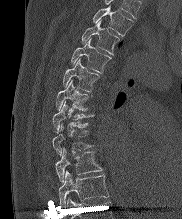

Spine CT · sagittal view · 182 mm image width · 182x219 px
Each box given as x1,y1,x2,y2.
The highest labeled vertebra in this scan is T2; the lowest is T10.
Vertebra bounding boxes:
- T2: x1=92, y1=5, x2=132, y2=35
- T3: x1=81, y1=21, x2=120, y2=54
- T4: x1=71, y1=39, x2=111, y2=72
- T5: x1=62, y1=59, x2=99, y2=91
- T6: x1=55, y1=80, x2=88, y2=110
- T7: x1=52, y1=101, x2=93, y2=132
- T8: x1=52, y1=124, x2=94, y2=155
- T9: x1=55, y1=149, x2=102, y2=182
- T10: x1=58, y1=171, x2=108, y2=207